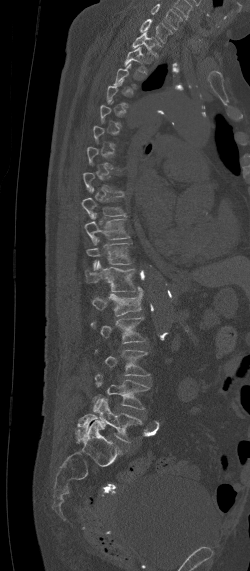

Spine computed tomography · sagittal reformat · 250x571 px
Box edges are left/top/right/bottom in pixels.
Each vertebra is boxed only on the slices from the first to the last where its cross-section reaches a third of its largest, so a slice outside that range leaves it unboxed.
In this scan, the topmost labeled vertebra is C7 and the lowest is L5.
C7: left=140, top=19, right=173, bottom=43
T1: left=131, top=30, right=162, bottom=56
T2: left=124, top=46, right=147, bottom=74
T10: left=85, top=213, right=130, bottom=245
T11: left=86, top=243, right=132, bottom=270
T12: left=84, top=260, right=136, bottom=292
L1: left=89, top=286, right=143, bottom=315
L2: left=90, top=317, right=145, bottom=343
L3: left=95, top=350, right=149, bottom=375
L4: left=93, top=374, right=149, bottom=409
L5: left=77, top=398, right=144, bottom=441